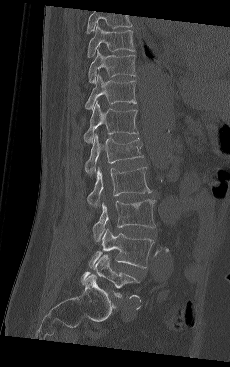

Spine computed tomography · sagittal reformat · W/L 1800/400 HU
Bounding boxes as [x1, y1, x2, y2] in pixel coordinates.
This scan's labels start at T9 at the top and end at L5 at the bottom.
Vertebra bounding boxes:
- T9: [87, 25, 135, 57]
- T10: [88, 49, 135, 83]
- T11: [84, 74, 137, 109]
- T12: [83, 101, 138, 143]
- L1: [84, 133, 143, 177]
- L2: [87, 167, 151, 209]
- L3: [92, 199, 155, 241]
- L4: [91, 228, 154, 268]
- L5: [81, 254, 139, 298]